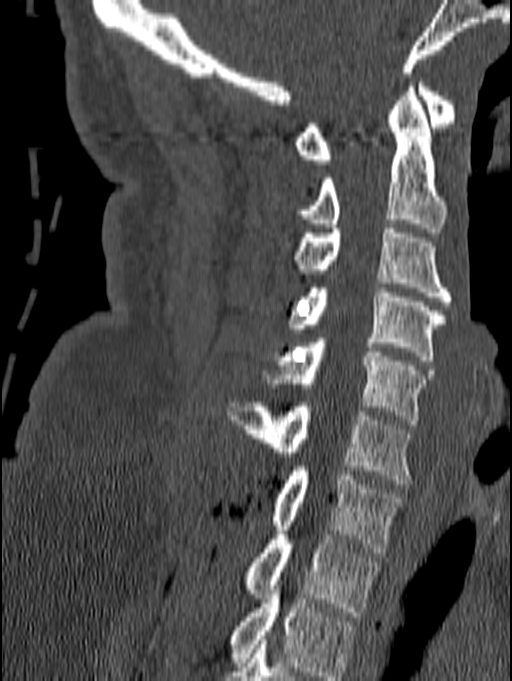 Computed tomography of the spine. sagittal view. W/L 1800/400 HU

In this scan, the topmost labeled vertebra is C1 and the lowest is T1.
<vertebrae><v name="T1" x1="246" y1="526" x2="381" y2="616"/><v name="C7" x1="272" y1="466" x2="403" y2="552"/><v name="C6" x1="225" y1="402" x2="413" y2="484"/><v name="C5" x1="265" y1="338" x2="433" y2="424"/><v name="C4" x1="290" y1="288" x2="447" y2="360"/><v name="C3" x1="294" y1="229" x2="452" y2="305"/><v name="C2" x1="295" y1="82" x2="446" y2="232"/><v name="C1" x1="294" y1="78" x2="455" y2="164"/></vertebrae>